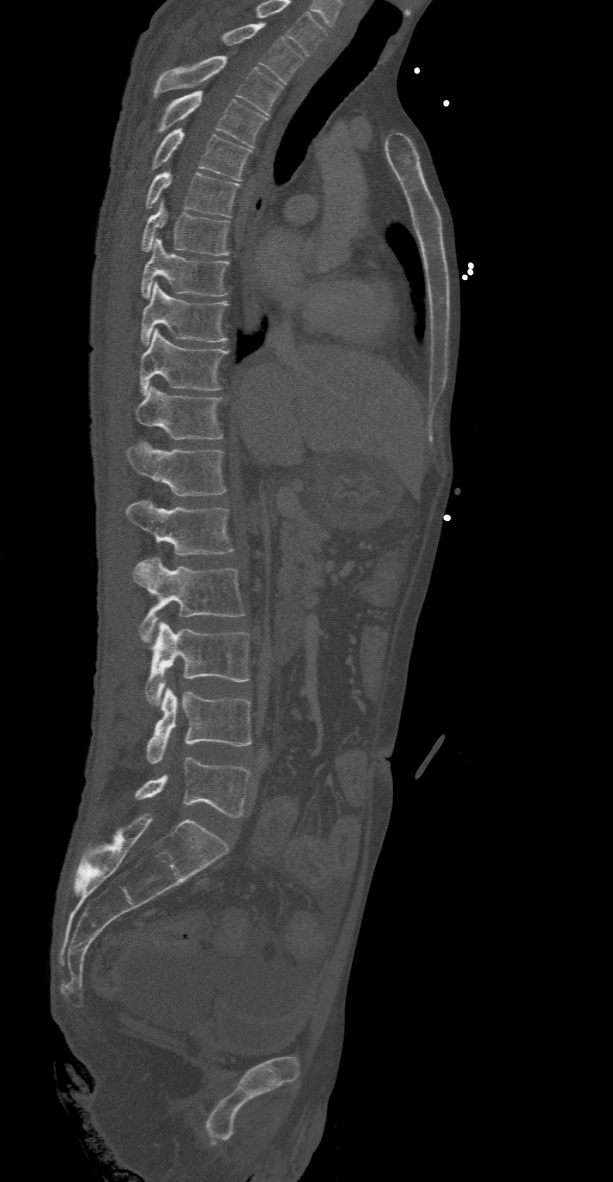

Computed tomography of the spine; sagittal view; bone window
Coordinates as <box>x1,y1,x2,y2</box>.
Labels in this scan begin with T2 at the top and end with L5 at the bottom.
T2: <box>222,22,303,83</box>
T3: <box>153,56,282,115</box>
T4: <box>158,91,267,146</box>
T5: <box>153,129,252,180</box>
T6: <box>145,171,239,216</box>
T7: <box>141,201,229,255</box>
T8: <box>141,237,229,298</box>
T9: <box>140,282,227,345</box>
T10: <box>140,329,229,394</box>
T11: <box>133,386,224,440</box>
T12: <box>127,441,225,496</box>
L1: <box>125,499,234,555</box>
L2: <box>132,557,246,643</box>
L3: <box>145,621,248,705</box>
L4: <box>146,687,252,763</box>
L5: <box>134,757,251,816</box>